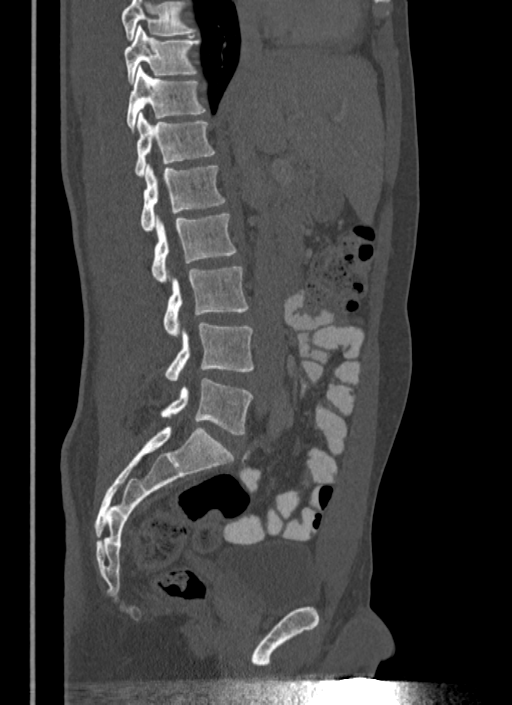 Spine computed tomography · image width 340 mm · sagittal view · W/L 1800/400 HU
Boxes: x1:y1:x2:y2 in pixels. Where the top of the scan cuts through a vertebra, that vertebra gets no label or box. The labeled vertebrae in this slice are: L5 at 161:378:252:434, L4 at 164:322:253:380, L3 at 162:267:249:335, L2 at 152:212:237:282, L1 at 140:164:225:231, T12 at 134:111:214:175, T11 at 126:66:205:132, T10 at 125:26:199:83.